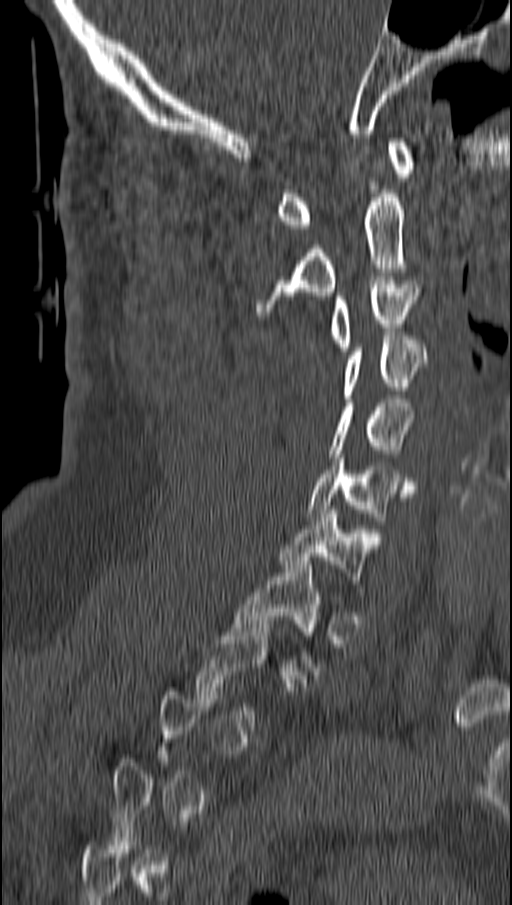 CT, spine · sagittal view
In the table, x1 and y1 are a box's top-left corner and x2 and y2 its bottom-right corner, in pixels.
Not every vertebra on this slice has a box: a vertebra is boxed only from the first to the last slice where its cross-section is at least a third of its largest, and this slice is outside that range for at least one of them.
| vertebra | x1 | y1 | x2 | y2 |
|---|---|---|---|---|
| T1 | 232 | 561 | 322 | 675 |
| C7 | 279 | 510 | 370 | 588 |
| C6 | 308 | 458 | 416 | 524 |
| C5 | 330 | 399 | 414 | 457 |
| C4 | 342 | 336 | 427 | 398 |
| C3 | 330 | 280 | 418 | 351 |
| C2 | 257 | 190 | 405 | 315 |
| C1 | 276 | 138 | 414 | 228 |